Computed tomography of the spine — sagittal plane, index 230 — bone-window reconstruction — 536x664 px
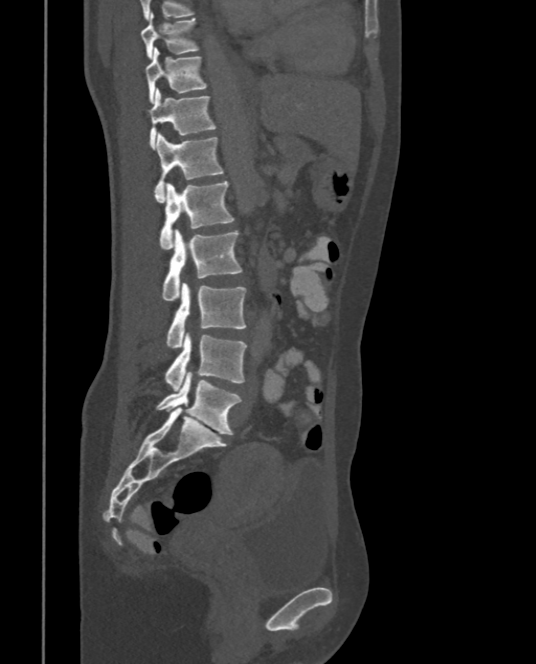
Boxes below are [x1, y1, x2, y2] in pixels.
{"vertebrae":{"T9":[141,12,198,59],"T10":[145,48,206,102],"T11":[149,88,216,149],"T12":[154,133,223,202],"L1":[160,181,234,249],"L2":[162,228,242,300],"L3":[167,281,246,347],"L4":[165,333,246,390],"L5":[157,371,242,435]}}